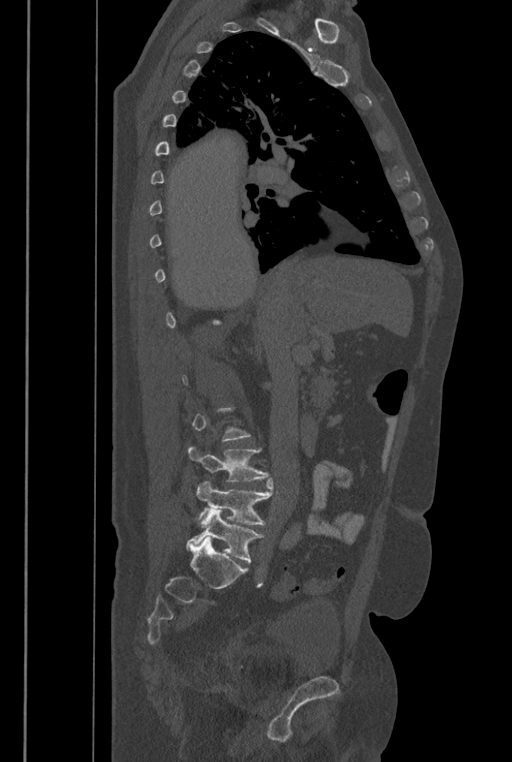
Spine computed tomography; sagittal reformat; 512x762 px
Not every vertebra on this slice has a box: a vertebra is boxed only from the first to the last slice where its cross-section is at least a third of its largest, and this slice is outside that range for at least one of them.
These labels give the spine a sixth lumbar vertebra, L6, below L5.
<vertebrae><v name="L4" x1="188" y1="446" x2="269" y2="481"/><v name="L5" x1="196" y1="478" x2="273" y2="525"/><v name="L6" x1="186" y1="509" x2="263" y2="562"/></vertebrae>